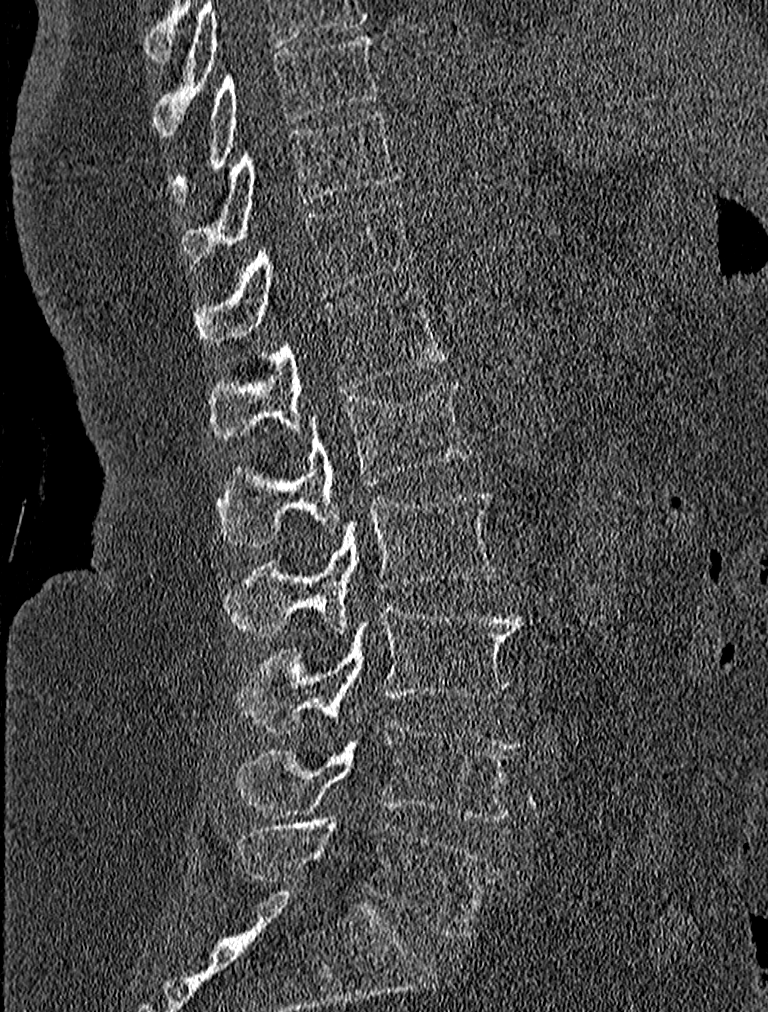 Spine CT · sagittal view · 227 mm across the image
Boxes below are [x1, y1, x2, y2] in pixels.
{"vertebrae":{"T9":[168,33,377,198],"T10":[182,111,397,262],"T11":[195,199,417,348],"T12":[209,288,448,439],"L1":[215,382,471,546],"L2":[225,490,499,637],"L3":[236,600,522,731],"L4":[232,722,521,820],"L5":[236,821,499,938]}}